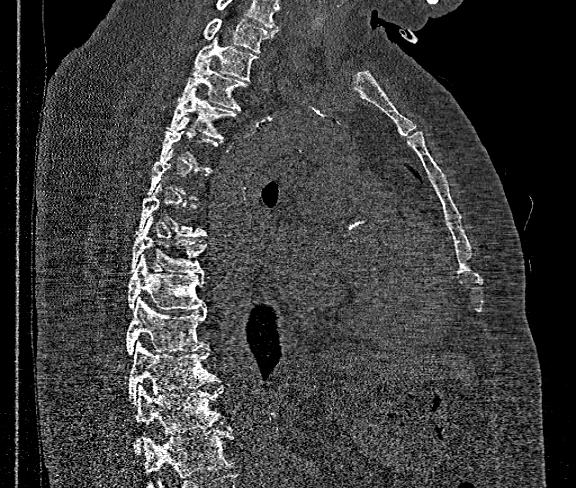 CT, spine. sagittal view. 576x488 px. image width 360 mm
A vertebra is boxed only from the first to the last slice where its cross-section is at least a third of its largest; slices outside that range leave it without a box.
A vertebra cut off by the bottom edge of the scan is not labeled and has no box.
The highest labeled vertebra in this scan is T1; the lowest is T12.
<vertebrae><v name="T12" x1="133" y1="384" x2="230" y2="454"/><v name="T11" x1="129" y1="341" x2="219" y2="401"/><v name="T10" x1="126" y1="297" x2="207" y2="355"/><v name="T9" x1="128" y1="256" x2="205" y2="310"/><v name="T8" x1="130" y1="218" x2="205" y2="275"/><v name="T7" x1="136" y1="182" x2="207" y2="236"/><v name="T4" x1="166" y1="87" x2="235" y2="139"/><v name="T3" x1="179" y1="58" x2="246" y2="110"/><v name="T2" x1="195" y1="31" x2="258" y2="79"/><v name="T1" x1="205" y1="18" x2="272" y2="52"/></vertebrae>